CT, spine — Sagittal slice 186/512 — bone-window reconstruction
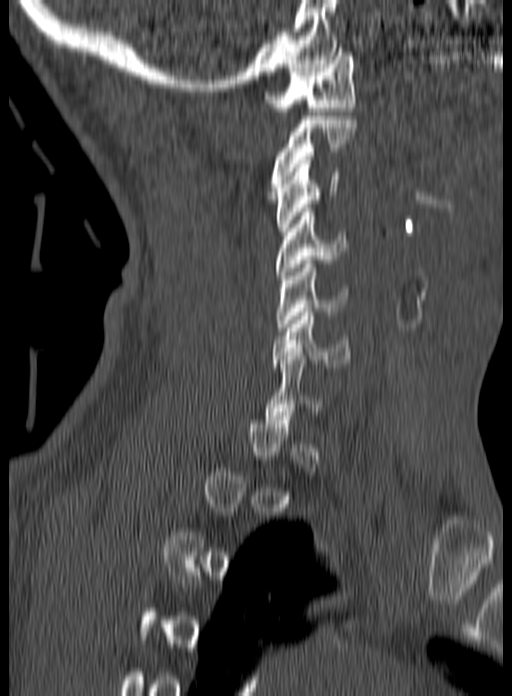 Boxes are (x1, y1, x2, y2) in pixels.
A vertebra gets a box only on the slices from the first to the last where its cross-section is at least a third of its largest; on a slice outside that range it gets none.
C1: (265, 48, 356, 111)
C2: (268, 116, 356, 195)
C3: (275, 160, 339, 231)
C4: (276, 208, 350, 279)
C5: (276, 260, 347, 331)
C6: (272, 308, 350, 367)